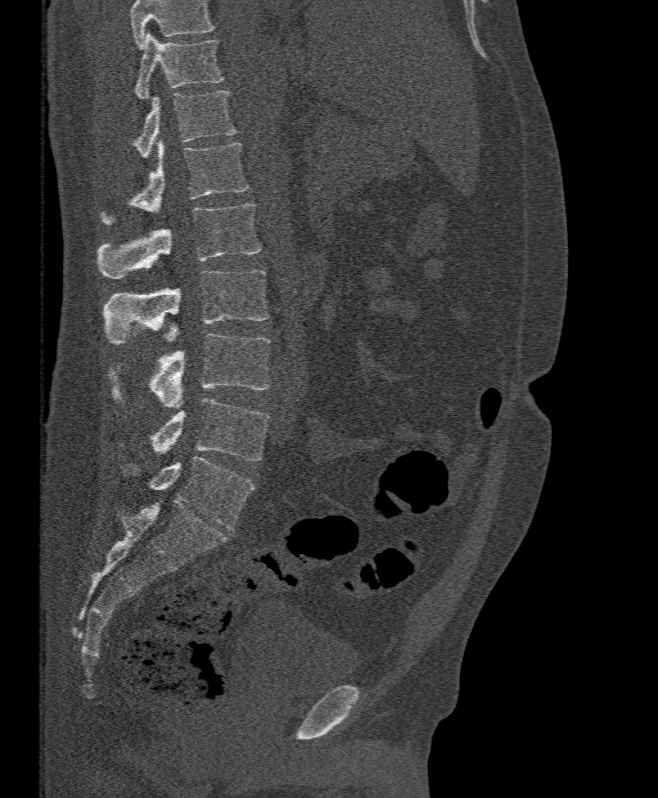
CT spine; sagittal view; 658x798 px
Each box given as x1,y1,x2,y2.
Where the top of the scan cuts through a vertebra, that vertebra gets no label or box.
Vertebra bounding boxes:
- L5: x1=150, y1=398, x2=269, y2=461
- L4: x1=108, y1=333, x2=270, y2=407
- L3: x1=105, y1=270, x2=269, y2=344
- L2: x1=98, y1=203, x2=260, y2=279
- L1: x1=102, y1=140, x2=248, y2=224
- T12: x1=134, y1=90, x2=237, y2=157
- T11: x1=135, y1=32, x2=224, y2=99